Computed tomography of the spine — sagittal reformat — 512x782 px
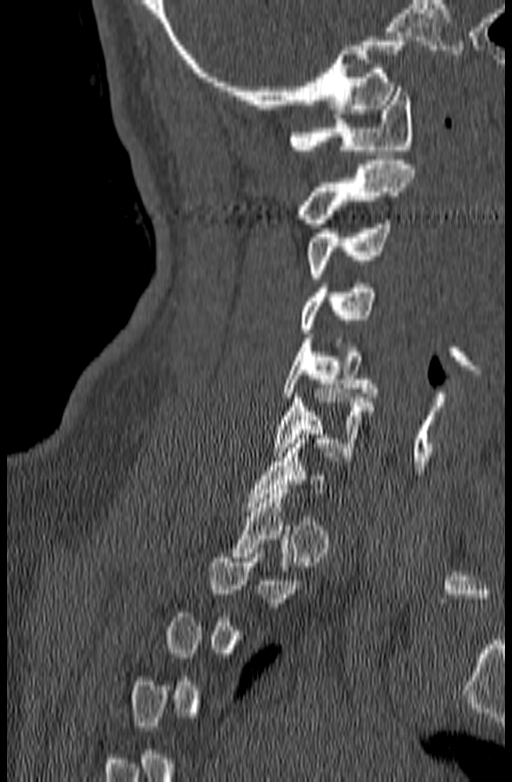
A vertebra is boxed only from the first to the last slice where its cross-section is at least a third of its largest; slices outside that range leave it without a box.
<vertebrae><v name="C6" x1="272" y1="389" x2="374" y2="456"/><v name="C5" x1="282" y1="338" x2="377" y2="397"/><v name="C4" x1="300" y1="279" x2="377" y2="333"/><v name="C3" x1="305" y1="219" x2="390" y2="278"/><v name="C2" x1="294" y1="160" x2="415" y2="223"/><v name="C1" x1="287" y1="87" x2="414" y2="154"/></vertebrae>